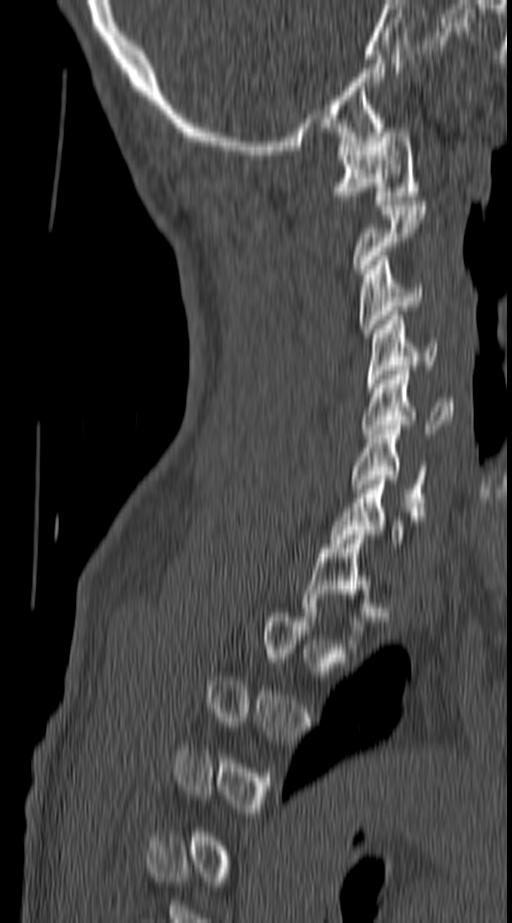
Computed tomography of the spine. sagittal view. bone window. 512x923 px
Box edges are left/top/right/bottom in pixels. Not every vertebra on this slice has a box: a vertebra is boxed only from the first to the last slice where its cross-section is at least a third of its largest, and this slice is outside that range for at least one of them. The labeled vertebrae in this slice are: C1 at left=334, top=128, right=419, bottom=205, C3 at left=360, top=256, right=423, bottom=333, C4 at left=367, top=311, right=439, bottom=388, C5 at left=363, top=370, right=453, bottom=438, C6 at left=350, top=425, right=426, bottom=511.